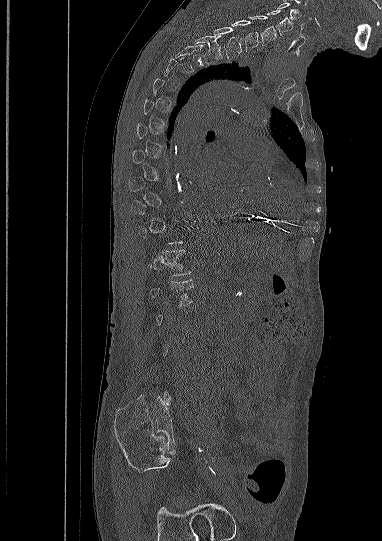 Spine computed tomography — sagittal view — W/L 1800/400 HU — 382x541 px — 382 mm image width
Coordinates as <box>x1,y1,x2,y2</box>. A vertebra gets a box only on the slices from the first to the last where its cross-section is at least a third of its largest; on a slice outside that range it gets none. The labeled vertebrae in this slice are: C5 at <box>267,9,292,35</box>, C6 at <box>249,15,276,46</box>, C7 at <box>232,20,259,50</box>, T1 at <box>213,27,242,58</box>, T2 at <box>195,35,222,64</box>, T12 at <box>148,250,191,276</box>, L1 at <box>150,280,194,305</box>.